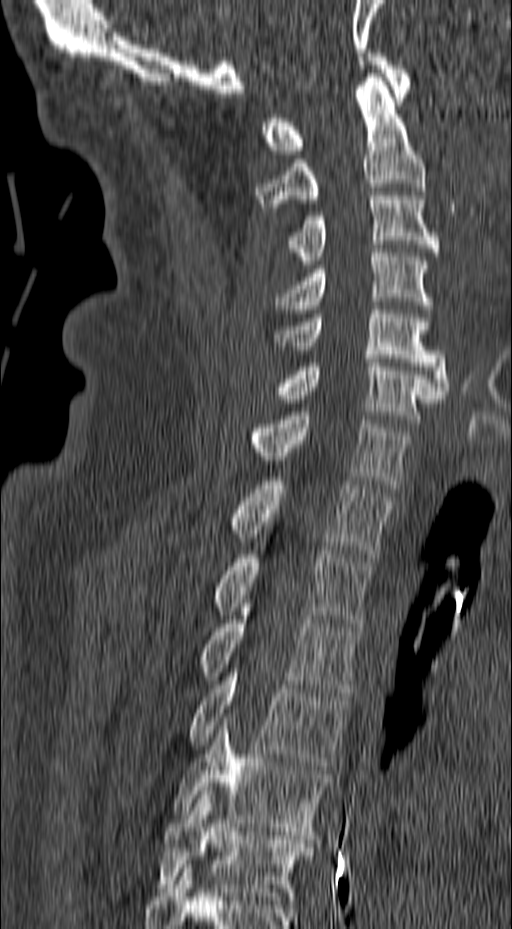 CT. sagittal view. 512x929 px
Each vertebra maps to its box as [x1, y1, x2, y2], the pixel coordinates of its top-left and bottom-right corners.
{"vertebrae":{"T6":[157,791,310,904],"T5":[172,717,330,835],"T4":[189,669,349,769],"T3":[200,607,362,696],"T2":[213,550,372,627],"T1":[229,477,395,557],"C7":[252,412,411,488],"C6":[275,359,443,423],"C5":[270,310,449,394],"C4":[273,249,433,317],"C3":[288,196,440,264],"C2":[254,77,425,207],"C1":[262,53,411,154]}}